Spine computed tomography; Sagittal slice 178/287; image 287 mm wide; 287x270 px; 9 vertebrae labeled in this scan; part of the image is constant black where the scan was masked
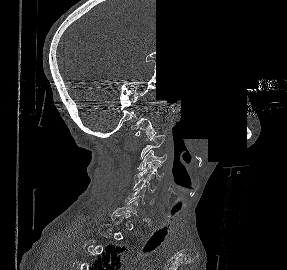

Boxes: x1:y1:x2:y2 in pixels.
A vertebra is boxed only from the first to the last slice where its cross-section is at least a third of its largest; slices outside that range leave it without a box.
Vertebra bounding boxes:
- C1: 131:118:156:139
- C3: 137:149:166:171
- C4: 134:162:163:179
- C5: 133:179:157:193
- C6: 124:188:145:204